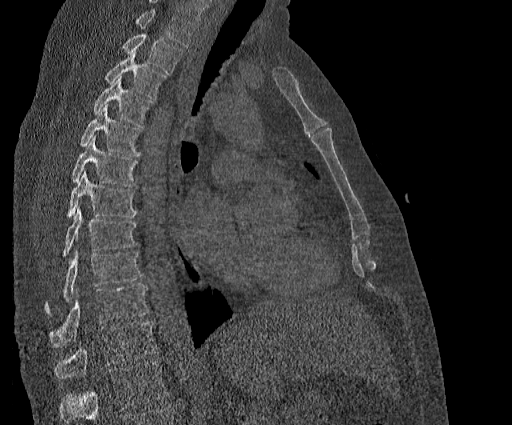 CT; sagittal view; image width 384 mm. Boxes are (x1, y1, x2, y2) in pixels.
A vertebra cut off by the top edge of the scan is not labeled and has no box.
In this scan, the topmost labeled vertebra is T2 and the lowest is T11.
T11: (54, 321, 157, 379)
T10: (49, 284, 148, 347)
T9: (44, 249, 143, 314)
T8: (62, 207, 136, 256)
T7: (66, 171, 136, 216)
T6: (70, 136, 137, 186)
T5: (80, 104, 140, 156)
T4: (93, 76, 152, 126)
T3: (105, 51, 167, 98)
T2: (122, 31, 183, 74)